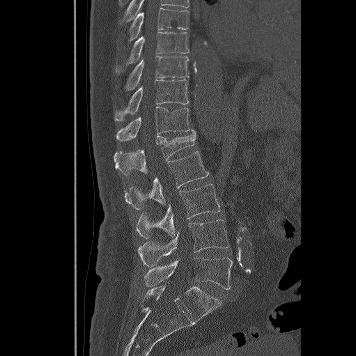 CT, spine · sagittal view · 356 mm wide

Each box is [x1, y1, x2, y2] in pixels: top-left corner, then bottom-right corner.
{"vertebrae":{"L5":[144,257,232,289],"L4":[138,219,229,267],"L3":[136,184,220,238],"L2":[124,151,209,210],"L1":[113,131,195,175],"T12":[116,106,193,140],"T11":[114,79,188,121],"T10":[124,55,189,90],"T9":[116,32,188,73],"T8":[129,7,188,40]}}